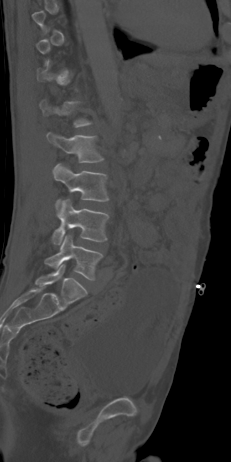

Spine CT — sagittal reformat — 231x462 px
Bounding boxes as [x1, y1, x2, y2] in pixel coordinates. Each vertebra is boxed only on the slices from the first to the last where its cross-section reaches a third of its largest, so a slice outside that range leaves it unboxed. Vertebrae labeled: L1 at [40, 100, 91, 127], L2 at [47, 132, 103, 162], L3 at [52, 163, 108, 210], L4 at [52, 199, 108, 244], L5 at [45, 234, 103, 280].